CT, spine; Sagittal slice 222/427; 9 vertebrae labeled in this scan
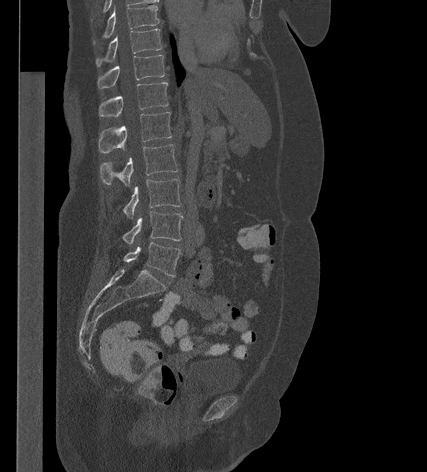 Boxes are (x1, y1, x2, y2) in pixels.
Vertebra bounding boxes:
- T9: (93, 5, 159, 43)
- T10: (96, 29, 161, 66)
- T11: (97, 55, 164, 89)
- T12: (99, 82, 168, 117)
- L1: (98, 112, 171, 153)
- L2: (100, 144, 178, 186)
- L3: (124, 179, 181, 219)
- L4: (123, 211, 183, 245)
- L5: (123, 242, 180, 276)